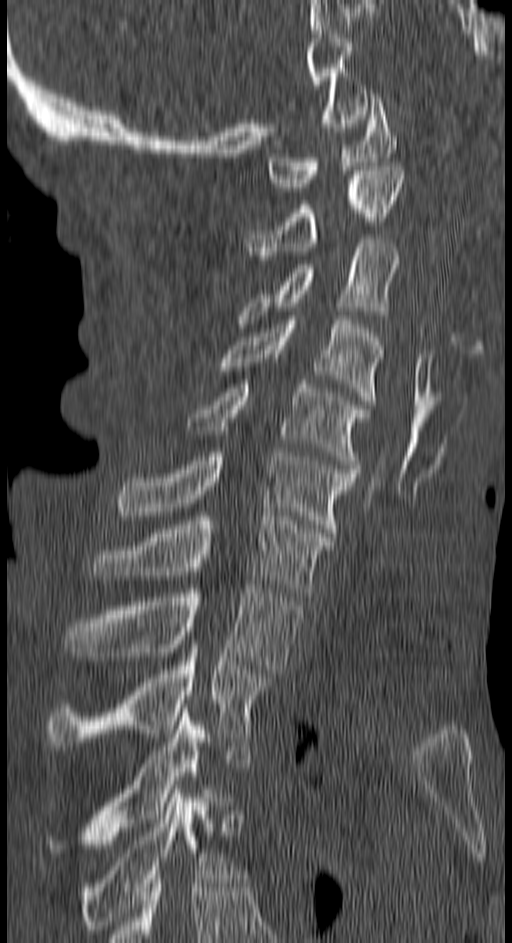

CT spine; sagittal view; 512x943 px; 150 mm image width
Boxes are (x1, y1, x2, y2) in pixels.
T4: (83, 789, 236, 933)
T3: (46, 708, 225, 852)
T2: (46, 649, 272, 750)
T1: (66, 585, 301, 673)
C7: (97, 512, 331, 596)
C6: (117, 452, 359, 537)
C5: (189, 380, 369, 468)
C4: (213, 316, 383, 404)
C3: (239, 239, 400, 323)
C2: (244, 166, 405, 268)
C1: (267, 94, 396, 191)